Spine computed tomography — sagittal reformat
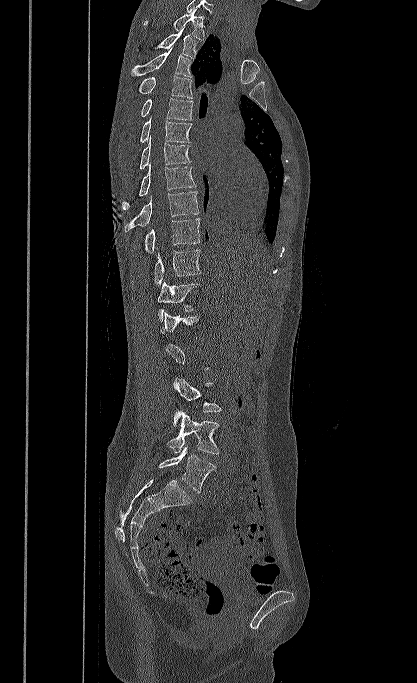
Each box given as x1,y1,x2,y2.
A vertebra gets a box only on the slices from the first to the last where its cross-section is at least a third of its largest; on a slice outside that range it gets none.
Labels in this scan begin with T1 at the top and end with L5 at the bottom.
L5: x1=158, y1=446, x2=216, y2=492
L4: x1=168, y1=410, x2=220, y2=454
L3: x1=173, y1=377, x2=221, y2=412
L1: x1=160, y1=311, x2=200, y2=333
T12: x1=158, y1=280, x2=198, y2=322
T11: x1=154, y1=249, x2=201, y2=287
T10: x1=144, y1=218, x2=200, y2=252
T9: x1=125, y1=191, x2=199, y2=231
T8: x1=122, y1=162, x2=196, y2=209
T7: x1=140, y1=135, x2=191, y2=169
T6: x1=140, y1=116, x2=192, y2=143
T5: x1=140, y1=98, x2=192, y2=120
T4: x1=138, y1=75, x2=192, y2=98
T3: x1=130, y1=48, x2=192, y2=77
T2: x1=154, y1=28, x2=196, y2=58
T1: x1=144, y1=10, x2=204, y2=40